CT, spine. sagittal plane, index 279. 512x760 px
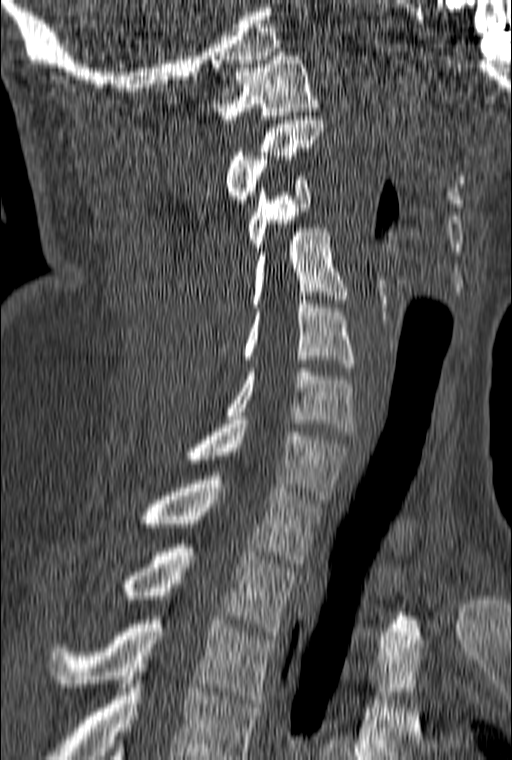 In this scan, the topmost labeled vertebra is C1 and the lowest is T3.
<vertebrae><v name="C1" x1="212" y1="52" x2="319" y2="123"/><v name="C2" x1="226" y1="116" x2="324" y2="207"/><v name="C3" x1="247" y1="176" x2="312" y2="251"/><v name="C4" x1="219" y1="228" x2="347" y2="351"/><v name="C5" x1="244" y1="300" x2="355" y2="367"/><v name="C6" x1="225" y1="368" x2="355" y2="435"/><v name="C7" x1="190" y1="420" x2="349" y2="499"/><v name="T1" x1="139" y1="472" x2="321" y2="563"/><v name="T2" x1="126" y1="544" x2="298" y2="635"/><v name="T3" x1="49" y1="620" x2="275" y2="703"/></vertebrae>